Computed tomography of the spine. Sagittal slice 292/512. scan covers 10 annotated vertebrae
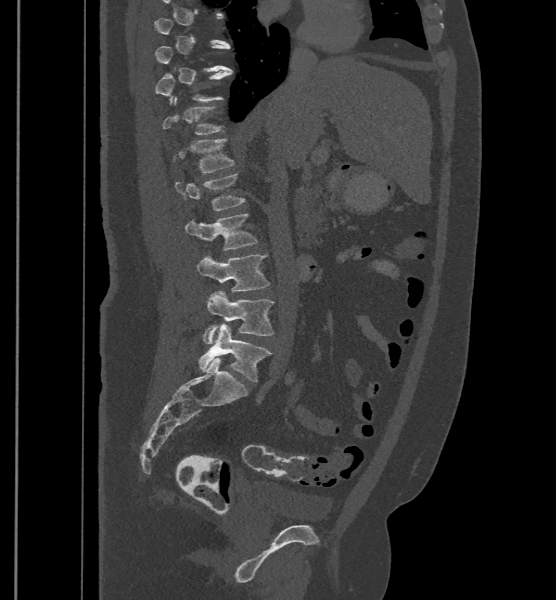 A vertebra is boxed only from the first to the last slice where its cross-section is at least a third of its largest; slices outside that range leave it without a box.
The labels name a sixth lumbar vertebra for this spine: L6, after L5.
<vertebrae><v name="L6" x1="199" y1="323" x2="271" y2="381"/><v name="L5" x1="203" y1="291" x2="274" y2="343"/><v name="L4" x1="196" y1="254" x2="269" y2="291"/><v name="L3" x1="186" y1="213" x2="258" y2="250"/><v name="L2" x1="175" y1="173" x2="245" y2="210"/><v name="L1" x1="174" y1="138" x2="234" y2="172"/><v name="T12" x1="162" y1="97" x2="224" y2="135"/><v name="T11" x1="155" y1="71" x2="232" y2="103"/></vertebrae>